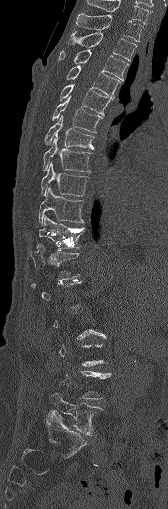 CT spine. sagittal reformat. the image spans 168 mm across. 168x509 px

Each row gives a vertebra's box as x1, y1, x2, y2 in pixels: top-left corner, then bottom-right corner.
Each vertebra is boxed only on the slices from the first to the last where its cross-section reaches a third of its largest, so a slice outside that range leaves it unboxed.
| vertebra | x1 | y1 | x2 | y2 |
|---|---|---|---|---|
| C7 | 87 | 0 | 150 | 24 |
| T1 | 76 | 13 | 143 | 41 |
| T2 | 67 | 31 | 136 | 60 |
| T3 | 59 | 49 | 127 | 79 |
| T4 | 66 | 65 | 119 | 98 |
| T5 | 59 | 84 | 113 | 116 |
| T6 | 51 | 98 | 102 | 132 |
| T7 | 44 | 115 | 93 | 149 |
| T8 | 43 | 137 | 91 | 172 |
| T9 | 41 | 163 | 88 | 196 |
| T10 | 38 | 188 | 84 | 225 |
| T11 | 36 | 215 | 85 | 249 |
| T12 | 33 | 243 | 79 | 279 |
| L5 | 50 | 391 | 102 | 435 |